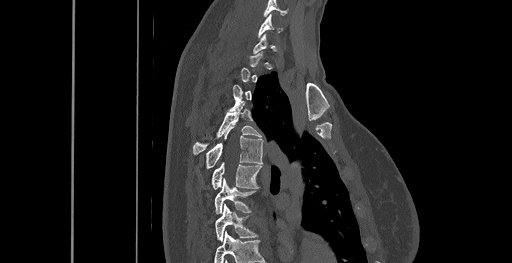 CT, spine; sagittal reformat; 461 mm image width; W/L 1800/400 HU; 512x263 px
In the table, x1 and y1 are a box's top-left corner and x2 and y2 its bottom-right corner, in pixels.
Not every vertebra on this slice has a box: a vertebra is boxed only from the first to the last slice where its cross-section is at least a third of its largest, and this slice is outside that range for at least one of them.
The highest labeled vertebra in this scan is C6; the lowest is T8.
| vertebra | x1 | y1 | x2 | y2 |
|---|---|---|---|---|
| T8 | 215 | 204 | 257 | 241 |
| T7 | 215 | 179 | 254 | 213 |
| T6 | 212 | 162 | 261 | 189 |
| T5 | 206 | 127 | 262 | 169 |
| T4 | 192 | 103 | 261 | 154 |
| C6 | 258 | 14 | 282 | 36 |